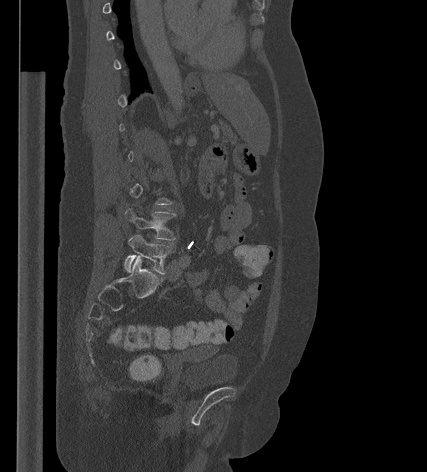

CT spine. sagittal view. W/L 1800/400 HU. image width 427 mm
Coordinates as <box>x1,y1,x2,y2</box>.
Not every vertebra on this slice has a box: a vertebra is boxed only from the first to the last slice where its cross-section is at least a third of its largest, and this slice is outside that range for at least one of them.
Vertebra bounding boxes:
- L5: <box>124,234,174,274</box>
- L4: <box>125,208,176,240</box>